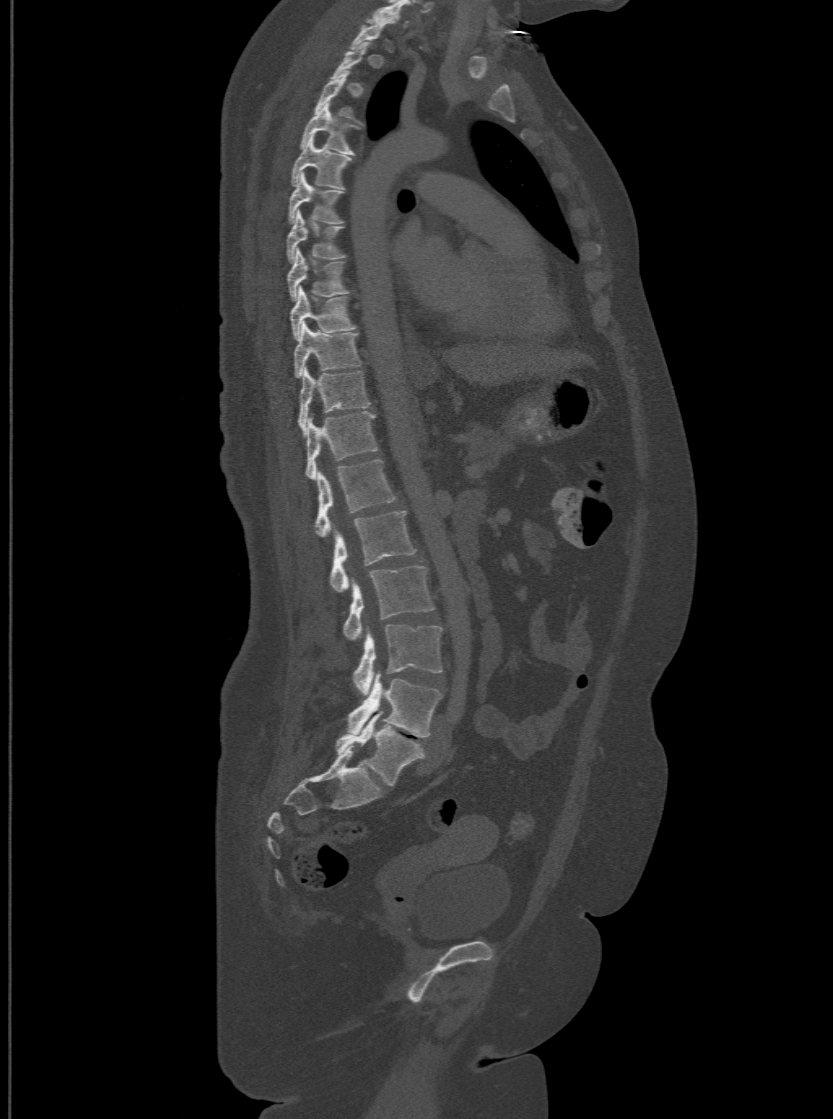

CT spine — sagittal reformat — bone-window reconstruction — image 500 mm wide
Boxes below are [x1, y1, x2, y2] in pixels.
Not every vertebra on this slice has a box: a vertebra is boxed only from the first to the last slice where its cross-section is at least a third of its largest, and this slice is outside that range for at least one of them.
These labels give the spine a sixth lumbar vertebra, L6, below L5.
{"vertebrae":{"T3":[316,70,359,121],"T4":[299,102,355,154],"T5":[290,135,351,187],"T6":[288,173,342,222],"T7":[286,210,344,261],"T8":[286,248,349,299],"T9":[290,285,355,337],"T10":[293,323,360,376],"T11":[298,367,370,432],"T12":[304,410,377,477],"L1":[316,458,395,536],"L2":[330,510,416,592],"L3":[343,566,434,640],"L4":[352,624,442,693],"L5":[348,673,442,737],"L6":[335,711,424,785]}}